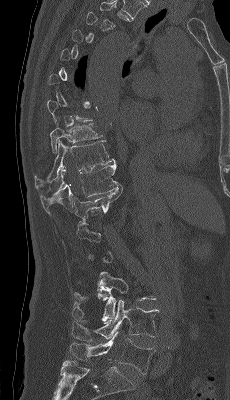

Spine CT · sagittal view
Box values are [left, top, right, bottom] in pixels.
A vertebra gets a box only on the slices from the first to the last where its cross-section is at least a third of its largest; on a slice outside that range it gets none.
{"vertebrae":{"T9":[50,122,103,153],"T10":[34,140,115,189],"T11":[40,163,123,214],"T12":[73,186,123,221],"L3":[72,272,155,322],"L4":[71,299,159,341],"L5":[70,332,155,374]}}